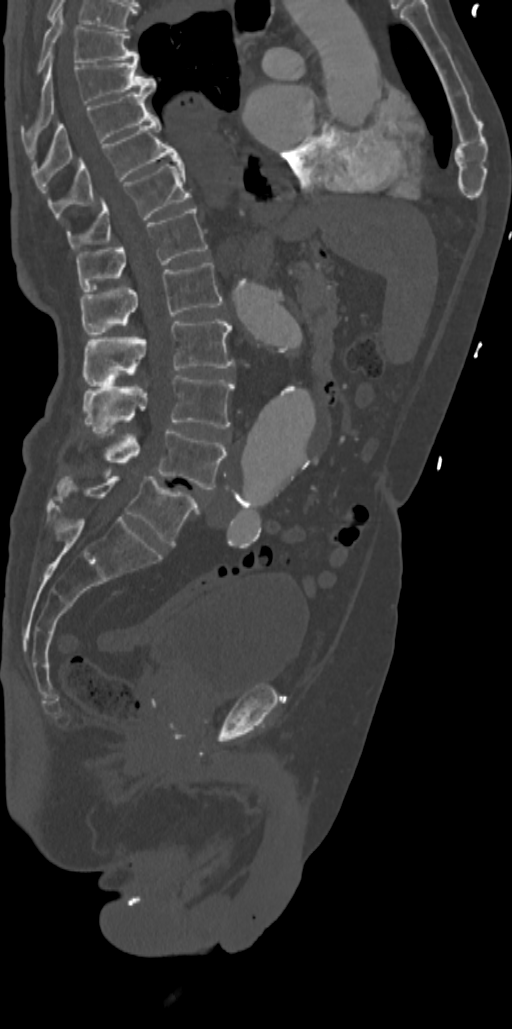

CT, spine. sagittal view. bone window

Boxes: x1:y1:x2:y2 in pixels. 11 vertebrae labeled — T7 at 37:9:138:71; T8 at 22:56:156:138; T9 at 31:90:152:174; T10 at 48:112:180:217; T11 at 66:162:190:251; T12 at 76:207:207:291; L1 at 81:263:222:336; L2 at 84:319:234:383; L3 at 84:375:234:430; L4 at 103:429:226:489; L5 at 57:476:198:545.